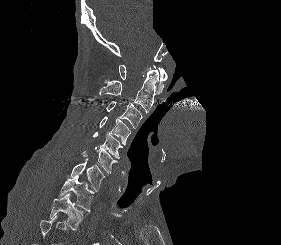 CT, spine; sagittal view; a region is blanked to uniform black, ending in a straight edge
Bounding boxes as [x1, y1, x2, y2] in pixel coordinates.
A vertebra cut off by the bottom edge of the scan is not labeled and has no box.
T2: [48, 193, 89, 229]
T1: [58, 176, 94, 211]
C7: [71, 158, 104, 191]
C6: [82, 147, 117, 174]
C5: [93, 131, 122, 158]
C4: [99, 116, 130, 144]
C3: [106, 101, 142, 128]
C2: [99, 70, 158, 113]
C1: [119, 65, 167, 94]